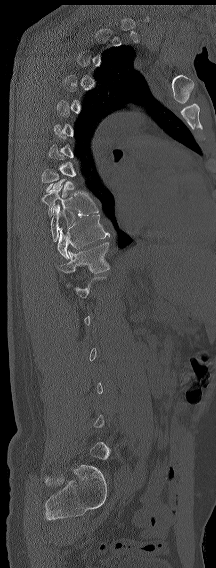
Spine CT — sagittal view — the image is 216 mm wide
Not every vertebra on this slice has a box: a vertebra is boxed only from the first to the last slice where its cross-section is at least a third of its largest, and this slice is outside that range for at least one of them.
<vertebrae><v name="T12" x1="58" y1="242" x2="109" y2="273"/><v name="T11" x1="55" y1="214" x2="109" y2="259"/><v name="T10" x1="51" y1="205" x2="76" y2="242"/><v name="T9" x1="41" y1="186" x2="98" y2="217"/></vertebrae>